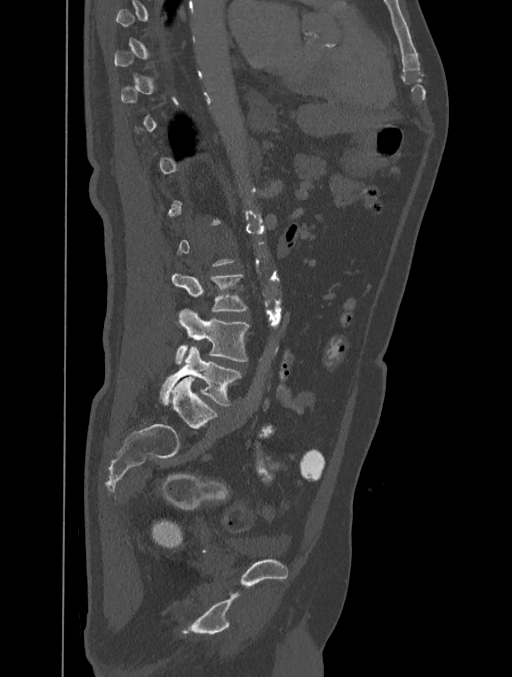 CT, spine — sagittal view — image width 401 mm — bone window

Box values are [left, top, right, bottom] in pixels.
Not every vertebra on this slice has a box: a vertebra is boxed only from the first to the last slice where its cross-section is at least a third of its largest, and this slice is outside that range for at least one of them.
{"vertebrae":{"L3":[172,273,247,310],"L4":[176,309,249,363],"L5":[160,346,241,405]}}